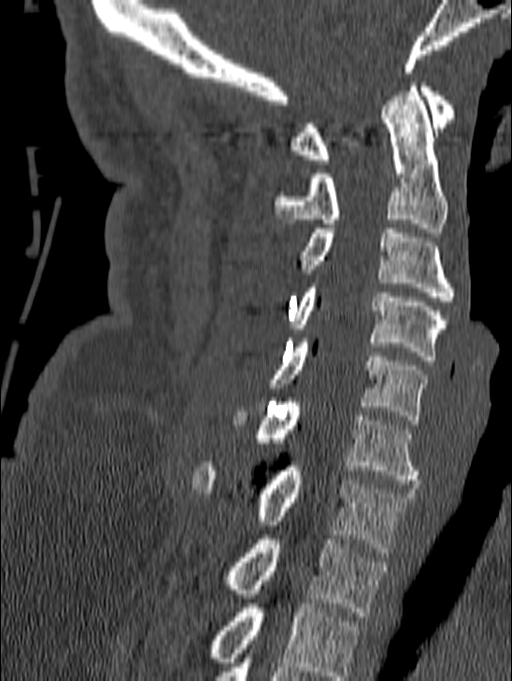

Computed tomography of the spine — sagittal reformat — bone window — 512x681 px

Boxes below are [x1, y1, x2, y2] in pixels.
This scan's labels start at C1 at the top and end at T1 at the bottom.
{"vertebrae":{"C1":[290,82,455,164],"C2":[274,82,447,232],"C3":[300,229,455,301],"C4":[290,283,447,360],"C5":[268,338,428,424],"C6":[233,398,421,484],"C7":[192,462,414,557],"T1":[221,535,385,616]}}